Spine CT; sagittal reformat; Bone window (WL 400, WW 1800); scan covers 9 annotated vertebrae; some of the image was removed or blocked out with constant pixels
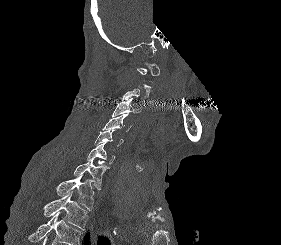 Each row gives a vertebra's box as x1, y1, x2, y2 in pixels: top-left corner, then bottom-right corner.
A vertebra is boxed only from the first to the last slice where its cross-section is at least a third of its largest; slices outside that range leave it without a box.
Where the bottom of the scan cuts through a vertebra, that vertebra gets no label or box.
| vertebra | x1 | y1 | x2 | y2 |
|---|---|---|---|---|
| C1 | 137 | 63 | 159 | 75 |
| C3 | 112 | 98 | 141 | 117 |
| C4 | 102 | 113 | 132 | 131 |
| C5 | 94 | 130 | 123 | 146 |
| C6 | 87 | 142 | 114 | 164 |
| C7 | 74 | 160 | 110 | 189 |
| T1 | 56 | 175 | 94 | 210 |
| T2 | 43 | 191 | 88 | 229 |